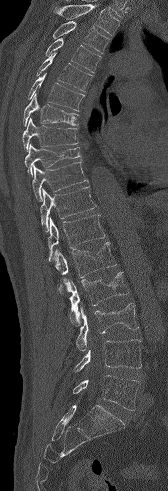 CT spine; sagittal reformat
Boxes: x1 y1 x2 y2 (pixel coords, space-separated).
No box is given to a vertebra that the top edge of the scan cuts off.
T3: 52 21 110 53
T4: 45 38 101 73
T5: 36 53 92 91
T6: 28 73 84 111
T7: 23 93 78 126
T8: 22 117 78 151
T9: 24 143 80 175
T10: 32 162 88 201
T11: 40 186 96 231
T12: 48 215 104 261
L1: 54 242 116 294
L2: 58 272 129 325
L3: 76 303 138 351
L4: 74 339 141 372
L5: 73 375 139 410